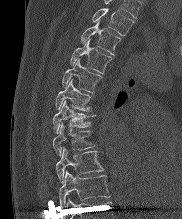
Spine computed tomography · sagittal view · 182x219 px · the image is 182 mm wide
Each box is [x1, y1, x2, y2] in pixels: top-left corner, then bottom-right corner.
The highest labeled vertebra in this scan is T2; the lowest is T10.
{"vertebrae":{"T10":[59,171,109,207],"T9":[56,148,103,182],"T8":[52,123,95,156],"T7":[52,101,95,133],"T6":[55,80,92,111],"T5":[62,59,102,92],"T4":[70,40,112,73],"T3":[81,21,121,54],"T2":[92,8,133,36]}}